Spine CT — sagittal plane, index 205 — W/L 1800/400 HU — 18 vertebrae labeled in this scan
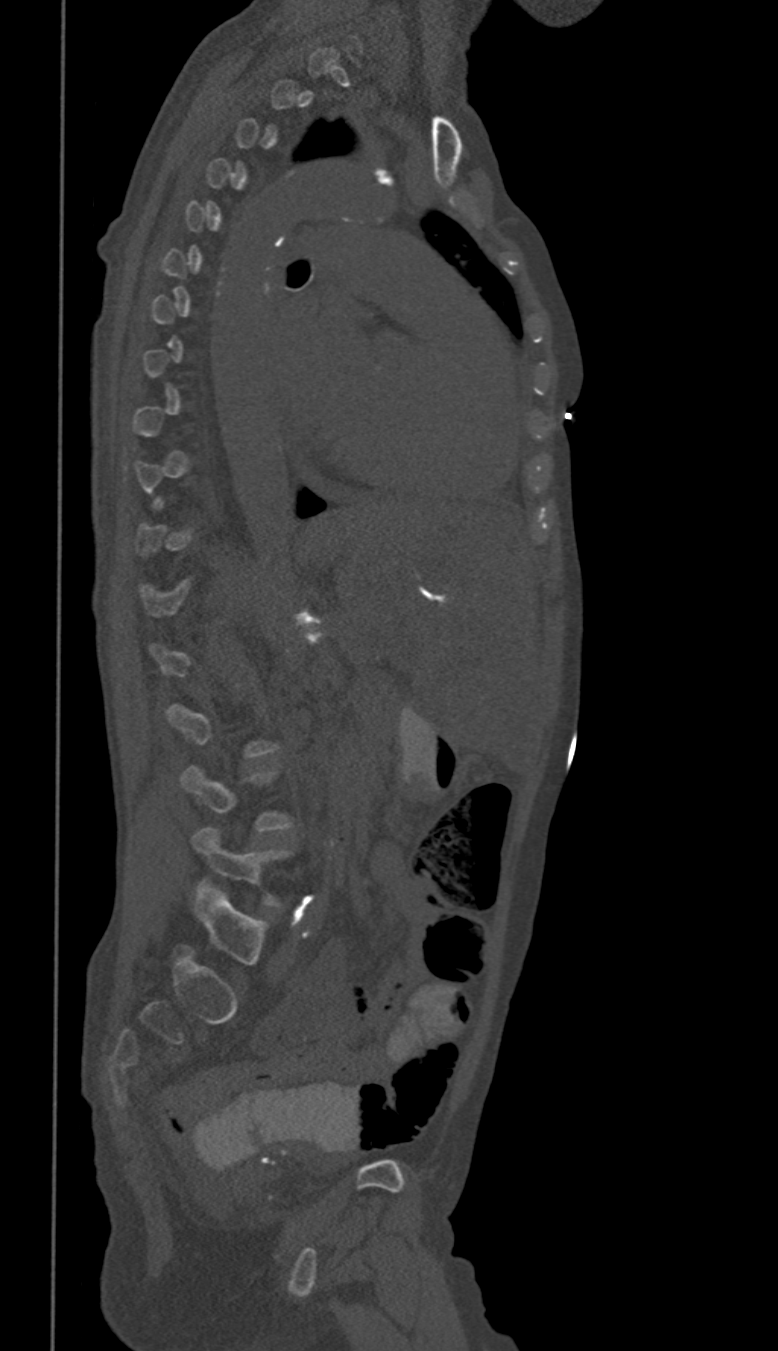

Boxes are given in columns x1, y1, x2, y2, the pixel coordinates of their top-left and bottom-right corners.
A vertebra is boxed only from the first to the last slice where its cross-section is at least a third of its largest; slices outside that range leave it without a box.
| vertebra | x1 | y1 | x2 | y2 |
|---|---|---|---|---|
| L5 | 193 | 827 | 289 | 906 |
| L4 | 182 | 765 | 292 | 831 |